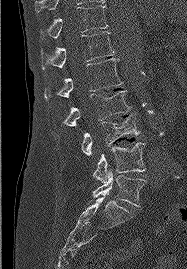
Spine CT · sagittal view · bone-window reconstruction · 187x269 px
Each vertebra maps to its box as [x1, y1, x2, y2], the pixel coordinates of its top-left and bottom-right corners.
{"vertebrae":{"T11":[41,5,107,38],"T12":[41,31,114,70],"L1":[45,58,122,100],"L2":[63,91,131,126],"L3":[81,115,140,155],"L4":[93,143,145,182],"L5":[92,170,145,206]}}